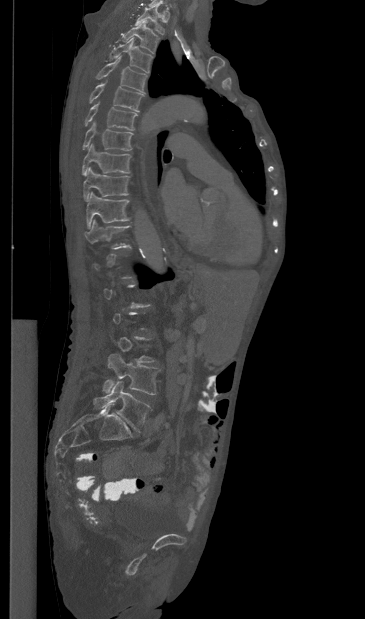
CT; sagittal view; 365x619 px
Box edges are left/top/right/bottom in pixels.
A vertebra is boxed only from the first to the last slice where its cross-section is at least a third of its largest; slices outside that range leave it without a box.
| vertebra | x1 | y1 | x2 | y2 |
|---|---|---|---|---|
| L5 | 93 | 381 | 150 | 431 |
| L4 | 103 | 354 | 159 | 394 |
| T11 | 84 | 220 | 130 | 249 |
| T10 | 86 | 192 | 129 | 228 |
| T9 | 83 | 167 | 129 | 201 |
| T8 | 82 | 143 | 130 | 174 |
| T7 | 83 | 122 | 133 | 150 |
| T6 | 85 | 101 | 137 | 130 |
| T5 | 89 | 82 | 143 | 111 |
| T4 | 96 | 56 | 147 | 92 |
| T3 | 109 | 38 | 152 | 72 |
| T2 | 121 | 23 | 159 | 53 |
| T1 | 135 | 5 | 164 | 34 |